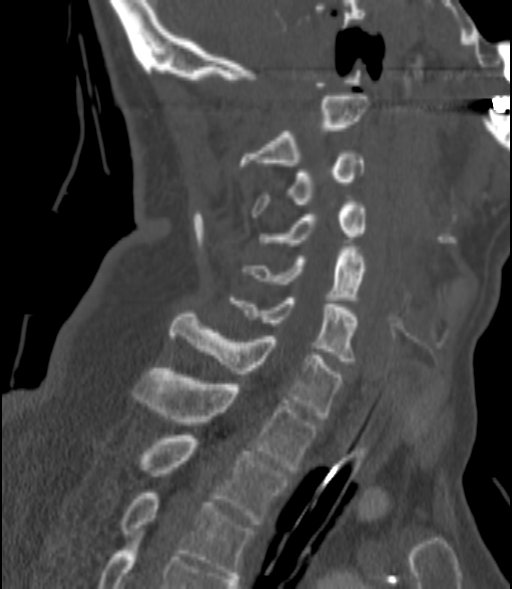

Spine computed tomography — sagittal view — bone-window reconstruction — image 200 mm wide
<vertebrae><v name="C2" x1="239" y1="96" x2="368" y2="169"/><v name="C3" x1="251" y1="150" x2="363" y2="217"/><v name="C4" x1="259" y1="205" x2="366" y2="245"/><v name="C5" x1="244" y1="250" x2="366" y2="300"/><v name="C6" x1="231" y1="298" x2="358" y2="364"/><v name="C7" x1="170" y1="314" x2="343" y2="418"/><v name="T1" x1="134" y1="368" x2="317" y2="469"/><v name="T2" x1="139" y1="435" x2="287" y2="524"/><v name="T3" x1="121" y1="493" x2="253" y2="578"/></vertebrae>